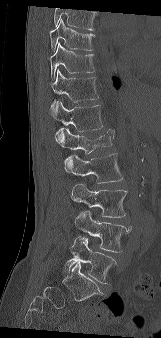 Computed tomography of the spine. sagittal view. W/L 1800/400 HU. 161x338 px
Coordinates as <box>x1,y1,x2,y2</box>.
A vertebra cut off by the top edge of the scan is not labeled and has no box.
L5: <box>61,238,116,283</box>
L4: <box>74,211,132,252</box>
L3: <box>71,184,127,217</box>
L2: <box>65,153,123,183</box>
L1: <box>60,128,114,172</box>
T12: <box>51,101,103,145</box>
T11: <box>51,69,98,109</box>
T10: <box>50,43,95,78</box>
T9: <box>49,19,94,51</box>